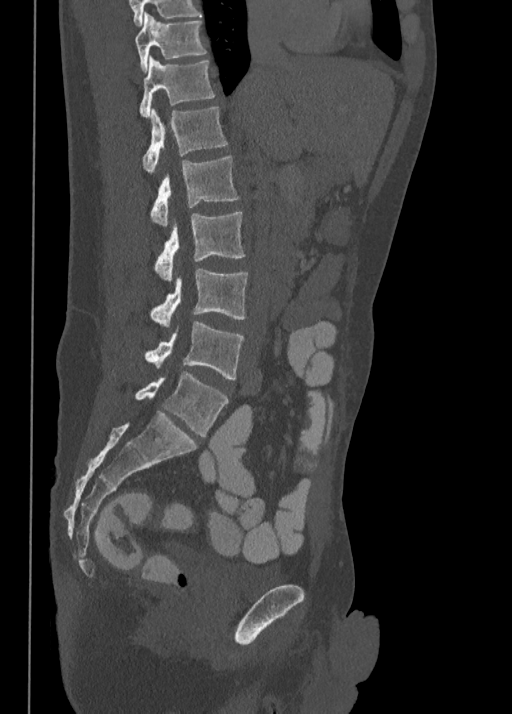

CT, spine — the image is 350 mm wide — sagittal view

Box edges are left/top/right/bottom in pixels.
T10: left=134, top=13, right=206, bottom=70
T11: left=139, top=55, right=215, bottom=116
T12: left=143, top=107, right=227, bottom=174
L1: left=150, top=157, right=239, bottom=227
L2: left=155, top=212, right=245, bottom=281
L3: left=150, top=269, right=247, bottom=328
L4: left=145, top=321, right=243, bottom=379
L5: left=136, top=371, right=228, bottom=436